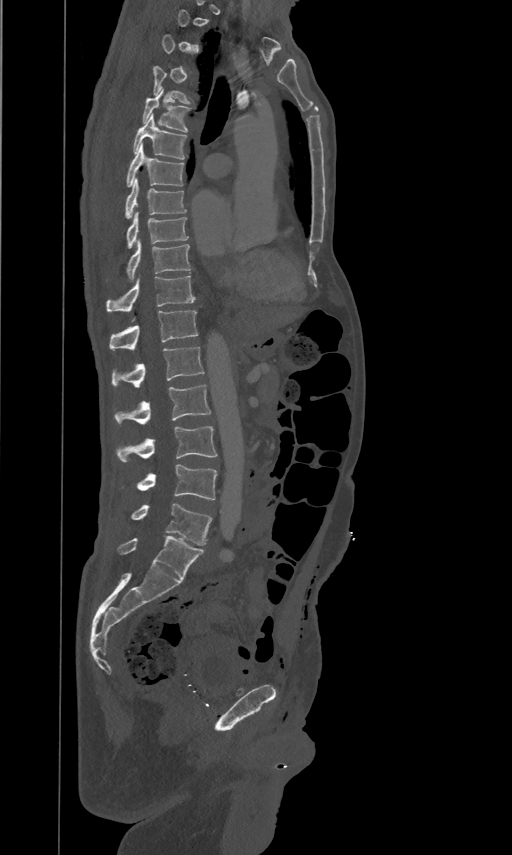 CT — sagittal view — bone-window reconstruction
Box values are [left, top, right, bottom] in pixels.
Not every vertebra on this slice has a box: a vertebra is boxed only from the first to the last slice where its cross-section is at least a third of its largest, and this slice is outside that range for at least one of them.
{"vertebrae":{"T4":[153,65,189,103],"T5":[142,88,191,132],"T6":[133,113,186,158],"T7":[127,142,183,185],"T8":[125,177,186,218],"T9":[127,211,188,246],"T10":[128,239,190,279],"T11":[107,274,195,311],"T12":[109,310,198,349],"L1":[111,345,204,385],"L2":[113,384,211,424],"L3":[116,425,217,462],"L4":[121,464,217,500],"L5":[131,504,212,545]}}